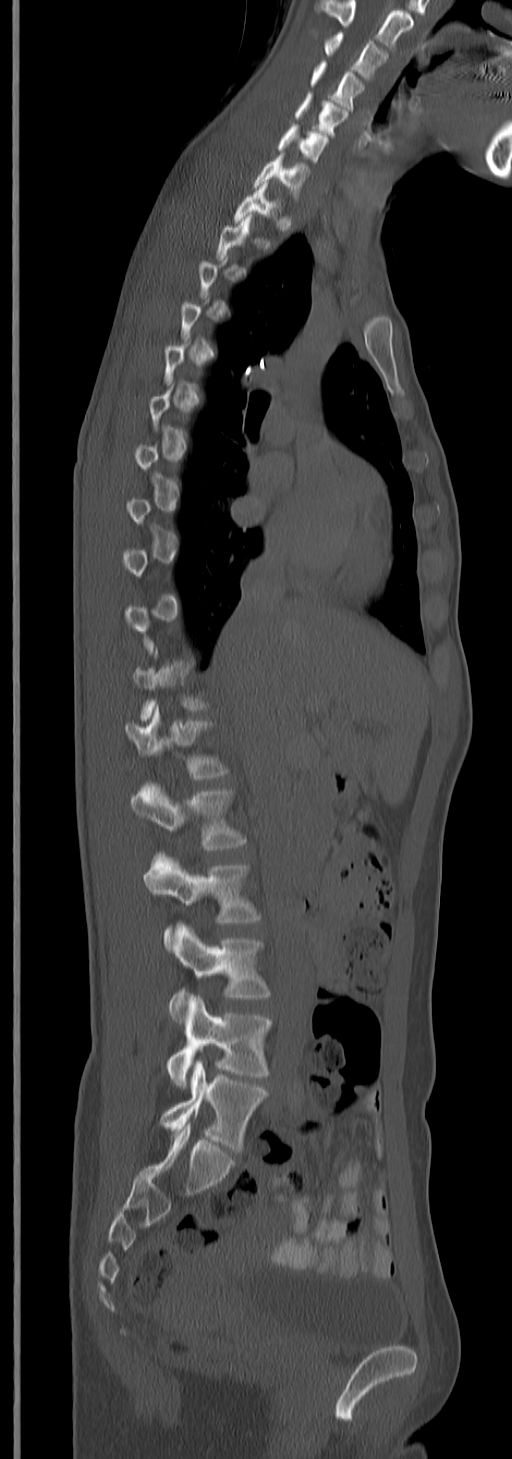

CT, spine. sagittal view
Bounding boxes as [x1, y1, x2, y2] in pixel coordinates.
A vertebra is boxed only from the first to the last slice where its cross-section is at least a third of its largest; slices outside that range leave it without a box.
In this scan, the topmost labeled vertebra is C3 and the lowest is L5.
Vertebra bounding boxes:
- L5: [159, 1060, 267, 1151]
- L4: [166, 996, 271, 1087]
- L3: [170, 922, 271, 1022]
- L2: [143, 851, 261, 951]
- L1: [130, 782, 246, 850]
- T12: [124, 707, 229, 779]
- T1: [235, 182, 282, 221]
- C7: [253, 153, 309, 198]
- C6: [276, 124, 328, 163]
- C5: [295, 93, 346, 135]
- C4: [310, 61, 363, 108]
- C3: [324, 32, 386, 79]